CT — sagittal plane, index 254 — bone-window reconstruction — 12 vertebrae labeled in this scan
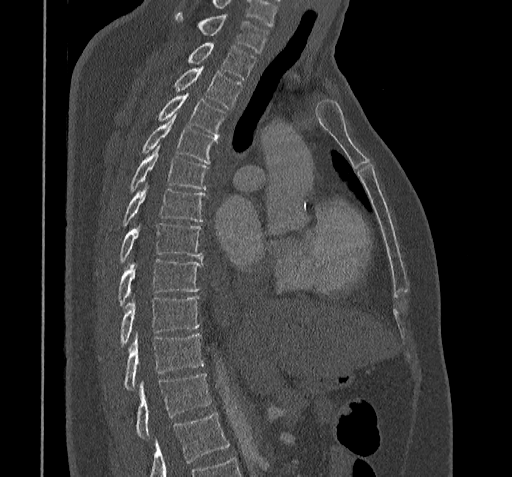

Coordinates as <box>x1,y1,x2,y2</box>.
A vertebra cut off by the bottom edge of the scan is not labeled and has no box.
T11: <box>135,374,212,437</box>
T10: <box>105,333,204,391</box>
T9: <box>98,295,199,360</box>
T8: <box>117,259,202,305</box>
T7: <box>119,222,202,262</box>
T6: <box>122,183,205,227</box>
T5: <box>128,146,208,191</box>
T4: <box>141,113,217,164</box>
T3: <box>157,92,226,136</box>
T2: <box>173,67,242,108</box>
T1: <box>187,43,255,79</box>
C7: <box>175,10,267,52</box>